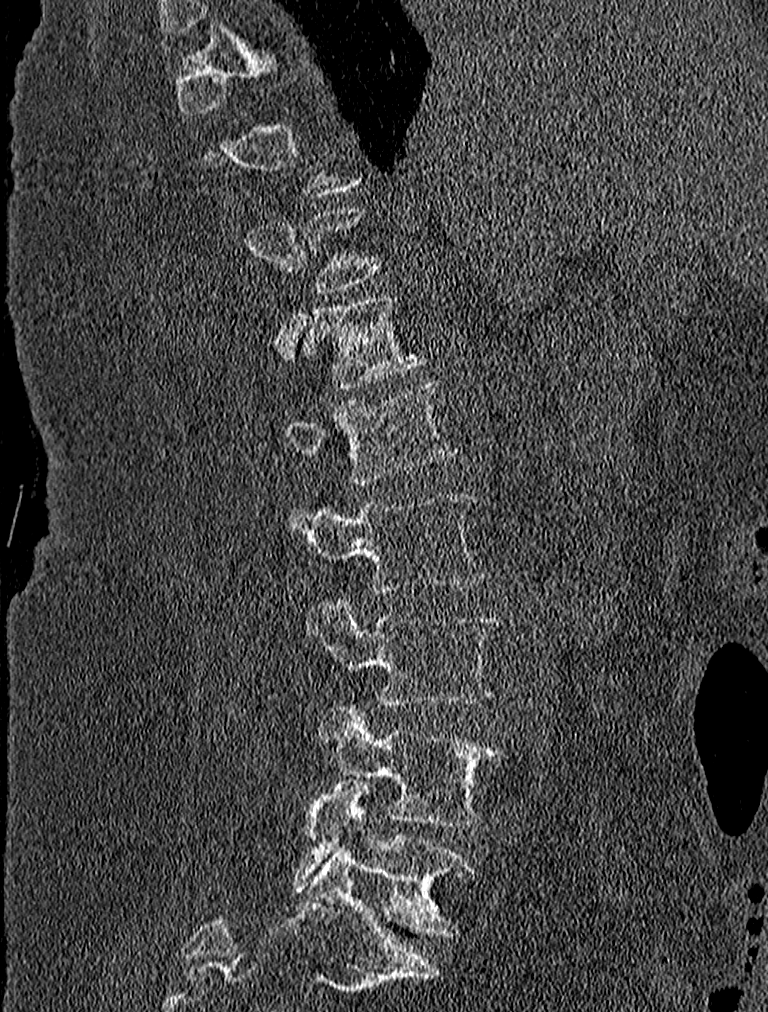 Spine computed tomography. sagittal view
A vertebra gets a box only on the slices from the first to the last where its cross-section is at least a third of its largest; on a slice outside that range it gets none.
<vertebrae><v name="T11" x1="300" y1="207" x2="384" y2="293"/><v name="T12" x1="299" y1="294" x2="424" y2="389"/><v name="L1" x1="283" y1="379" x2="458" y2="483"/><v name="L2" x1="286" y1="490" x2="488" y2="593"/><v name="L3" x1="303" y1="591" x2="502" y2="704"/><v name="L4" x1="313" y1="702" x2="503" y2="826"/><v name="L5" x1="293" y1="781" x2="471" y2="934"/></vertebrae>